Computed tomography of the spine · sagittal view
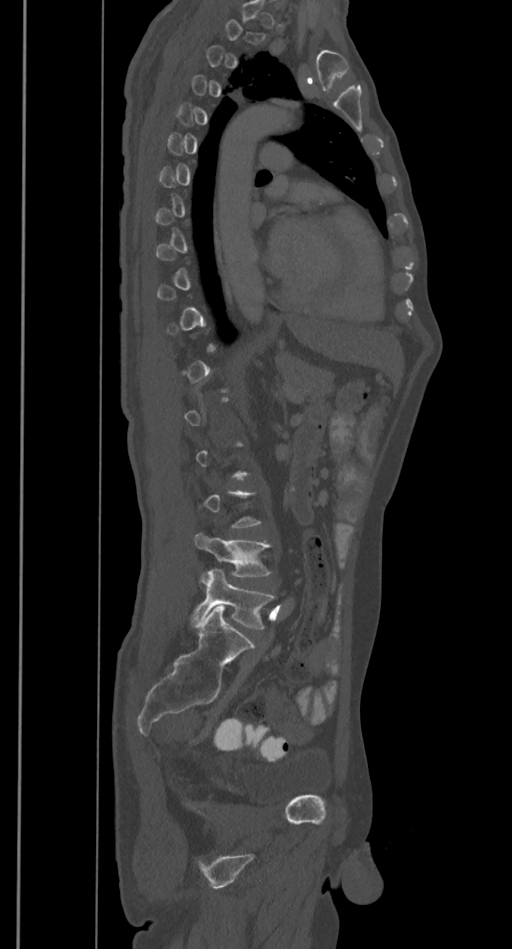 Bounding boxes as [x1, y1, x2, y2] in pixel coordinates. Not every vertebra on this slice has a box: a vertebra is boxed only from the first to the last slice where its cross-section is at least a third of its largest, and this slice is outside that range for at least one of them. Vertebrae labeled: L4 at [194, 533, 270, 577], L5 at [191, 569, 274, 629].